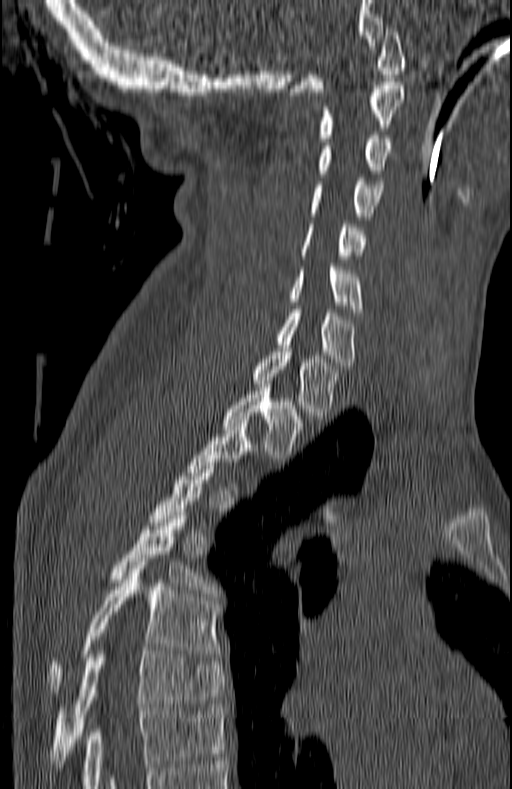 Spine computed tomography. sagittal view. 512x789 px

Columns x1, y1, x2, y2 give each box's top-left and bottom-right pixels.
A vertebra gets a box only on the slices from the first to the last where its cross-section is at least a third of its largest; on a slice outside that range it gets none.
| vertebra | x1 | y1 | x2 | y2 |
|---|---|---|---|---|
| T7 | 49 | 647 | 225 | 767 |
| T6 | 46 | 565 | 219 | 696 |
| T5 | 109 | 512 | 219 | 596 |
| T2 | 223 | 388 | 304 | 461 |
| T1 | 251 | 348 | 338 | 419 |
| C7 | 274 | 309 | 355 | 369 |
| C6 | 288 | 267 | 361 | 315 |
| C5 | 300 | 224 | 367 | 259 |
| C4 | 308 | 178 | 381 | 219 |
| C3 | 317 | 135 | 392 | 177 |
| C2 | 317 | 85 | 404 | 141 |
| C1 | 290 | 28 | 404 | 95 |